Spine computed tomography; sagittal view; 176x509 px; scan covers 17 annotated vertebrae
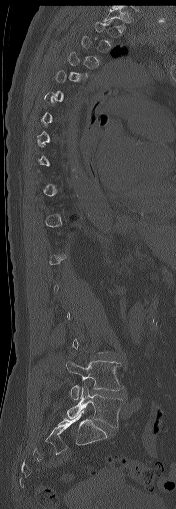 Boxes are given in columns x1, y1, x2, y2, the pixel coordinates of their top-left and bottom-right corners.
Not every vertebra on this slice has a box: a vertebra is boxed only from the first to the last slice where its cross-section is at least a third of its largest, and this slice is outside that range for at least one of them.
| vertebra | x1 | y1 | x2 | y2 |
|---|---|---|---|---|
| L5 | 67 | 386 | 122 | 427 |
| L4 | 66 | 360 | 121 | 400 |
| T1 | 102 | 8 | 134 | 23 |